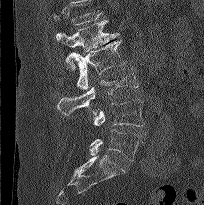

Spine computed tomography. sagittal view. W/L 1800/400 HU. 204x205 px. image 204 mm wide

Coordinates as <box>x1,y1,x2,y2</box>.
No box is given to a vertebra that the top edge of the scan cuts off.
L1: <box>55,20,119,70</box>
L2: <box>66,40,124,90</box>
L3: <box>57,68,138,115</box>
L4: <box>93,99,143,126</box>
L5: <box>89,129,140,161</box>